CT. sagittal reformat. scan covers 16 annotated vertebrae. 384 mm wide
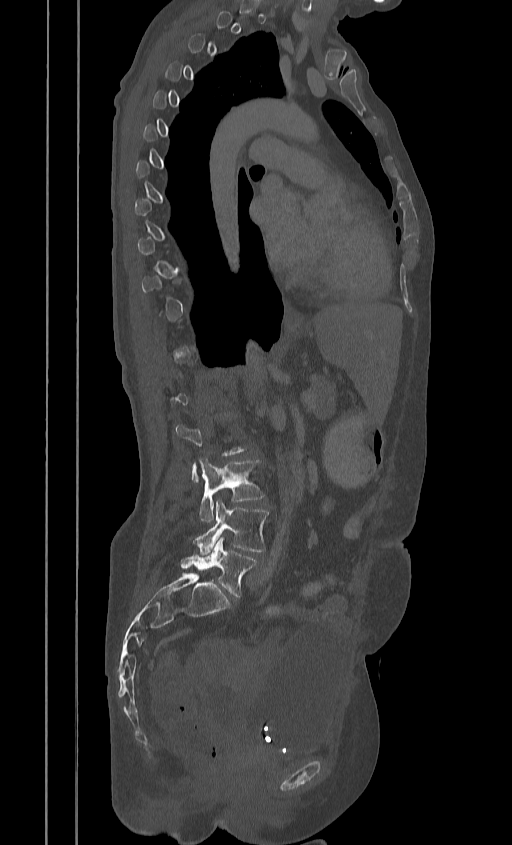 Coordinates as <box>x1,y1,x2,y2</box>. Not every vertebra on this slice has a box: a vertebra is boxed only from the first to the last slice where its cross-section is at least a third of its largest, and this slice is outside that range for at least one of them. 3 vertebrae labeled — L3 at <box>200,459,264,522</box>; L4 at <box>193,500,268,554</box>; L5 at <box>181,537,257,596</box>.